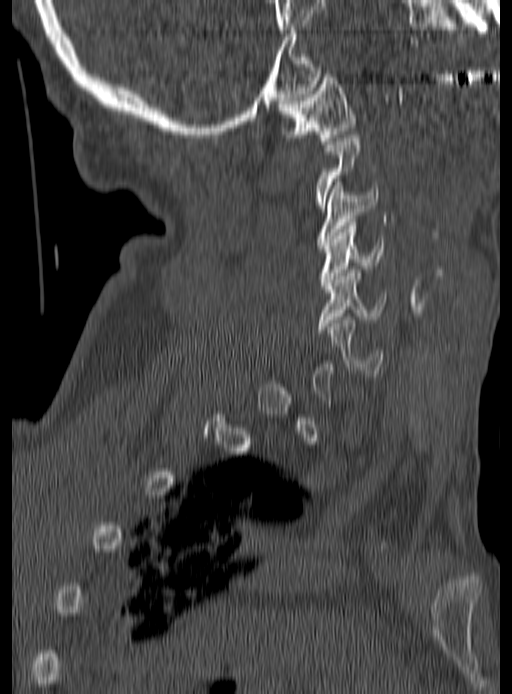
CT · sagittal view · W/L 1800/400 HU · 512x694 px
Each box given as x1,y1,x2,y2.
A vertebra gets a box only on the slices from the first to the last where its cross-section is at least a third of its largest; on a slice outside that range it gets none.
C1: x1=279, y1=74, x2=357, y2=144
C3: x1=315, y1=182, x2=378, y2=245
C4: x1=319, y1=222, x2=383, y2=289
C5: x1=317, y1=269, x2=387, y2=332
C6: x1=327, y1=317, x2=383, y2=376